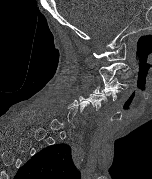
CT spine; sagittal reformat. Boxes: x1 y1 x2 y2 (pixel coords, space-separated).
Not every vertebra on this slice has a box: a vertebra is boxed only from the first to the last slice where its cross-section is at least a third of its largest, and this slice is outside that range for at least one of them.
Vertebra bounding boxes:
- C5: 79 92 107 110
- C4: 93 86 120 101
- C3: 101 78 127 92
- C2: 98 62 128 86
- C1: 93 42 126 61